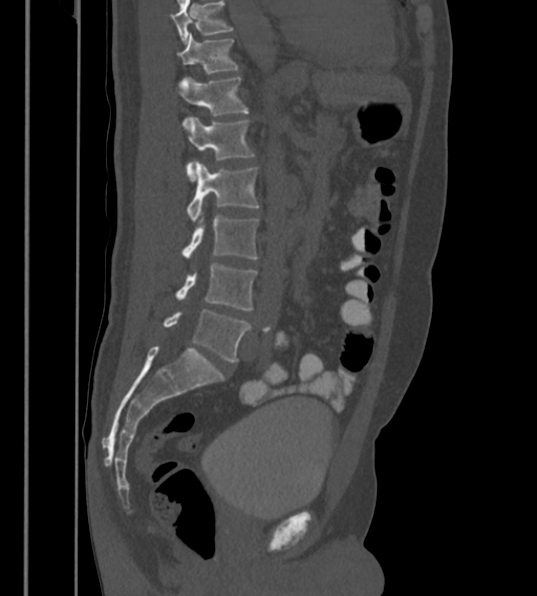

Computed tomography of the spine — sagittal reformat
Boxes below are [x1, y1, x2, y2] in pixels.
The highest labeled vertebra in this scan is T12; the lowest is L6.
These labels give the spine a sixth lumbar vertebra, L6, below L5.
{"vertebrae":{"L6":[164,309,250,361],"L5":[176,264,256,310],"L4":[184,210,258,260],"L3":[188,161,259,223],"L2":[184,117,253,181],"L1":[174,76,247,115],"T12":[176,32,236,73]}}